CT, spine; sagittal reformat; Bone window (WL 400, WW 1800); image 140 mm wide; scan covers 8 annotated vertebrae
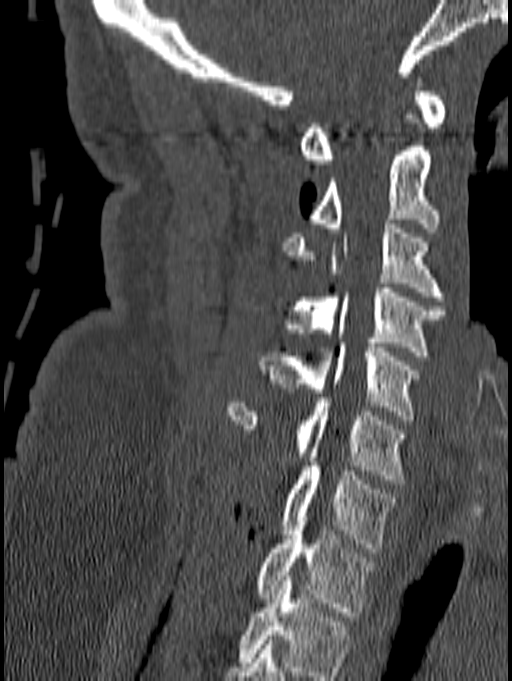

Box edges are left/top/right/bottom in pixels. The highest labeled vertebra in this scan is C1; the lowest is T1. Vertebrae labeled: C1 at left=300, top=78, right=446, bottom=164, C2 at left=310, top=114, right=439, bottom=232, C3 at left=282, top=219, right=444, bottom=301, C4 at left=283, top=288, right=445, bottom=360, C5 at left=260, top=343, right=420, bottom=420, C6 at left=225, top=398, right=406, bottom=484, C7 at left=283, top=462, right=395, bottom=552, T1 at left=257, top=521, right=375, bottom=616.